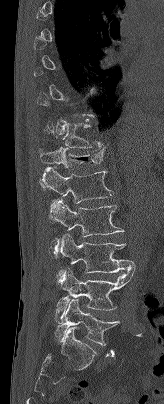 Spine CT; sagittal reformat; Bone window (WL 400, WW 1800)
Not every vertebra on this slice has a box: a vertebra is boxed only from the first to the last slice where its cross-section is at least a third of its largest, and this slice is outside that range for at least one of them.
<vertebrae><v name="L5" x1="55" y1="299" x2="119" y2="345"/><v name="L4" x1="56" y1="268" x2="134" y2="317"/><v name="L3" x1="56" y1="234" x2="135" y2="282"/><v name="L2" x1="50" y1="199" x2="124" y2="258"/><v name="L1" x1="39" y1="167" x2="113" y2="223"/><v name="T12" x1="38" y1="147" x2="104" y2="169"/><v name="T11" x1="45" y1="121" x2="105" y2="148"/></vertebrae>